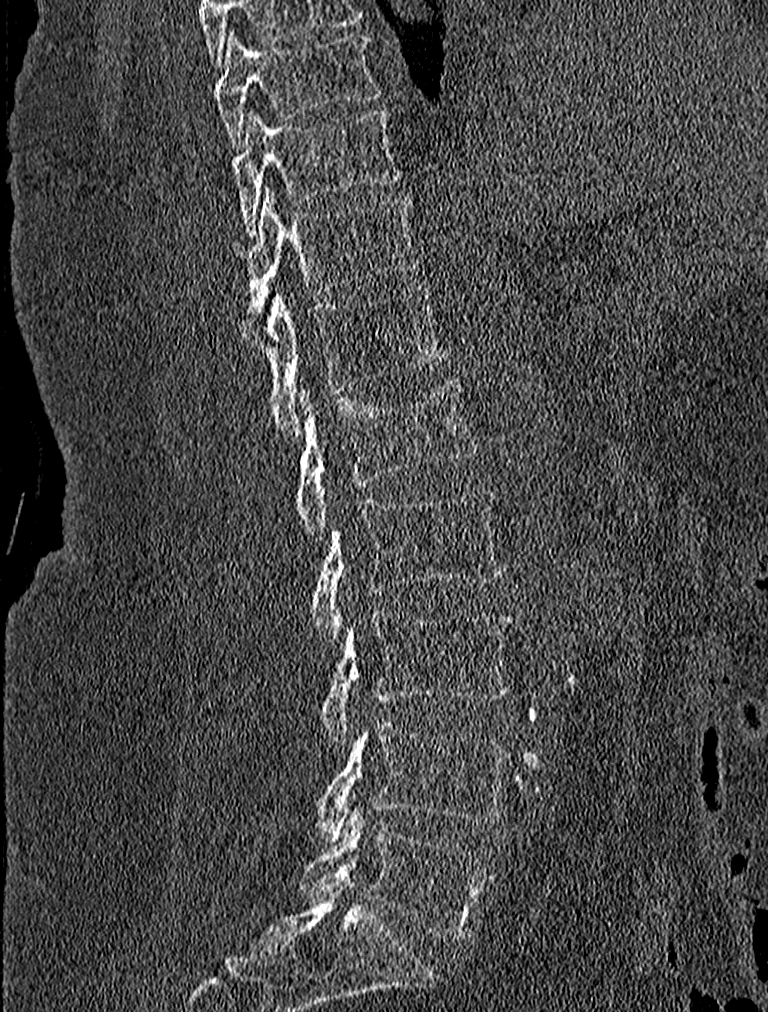 Spine computed tomography · sagittal reformat · W/L 1800/400 HU
Boxes are given in columns x1, y1, x2, y2, the pixel coordinates of their top-left and bottom-right corners.
| vertebra | x1 | y1 | x2 | y2 |
|---|---|---|---|---|
| T9 | 215 | 30 | 380 | 148 |
| T10 | 232 | 108 | 400 | 237 |
| T11 | 229 | 187 | 417 | 320 |
| T12 | 252 | 285 | 448 | 441 |
| L1 | 297 | 379 | 478 | 539 |
| L2 | 310 | 487 | 505 | 640 |
| L3 | 320 | 611 | 515 | 742 |
| L4 | 309 | 719 | 511 | 839 |
| L5 | 300 | 810 | 492 | 941 |